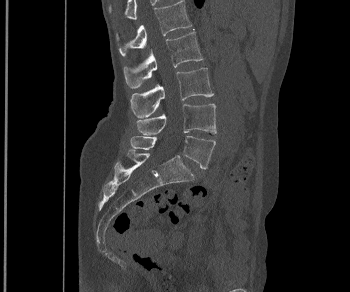

CT spine — sagittal reformat

<vertebrae><v name="L1" x1="116" y1="0" x2="191" y2="56"/><v name="L2" x1="123" y1="28" x2="202" y2="88"/><v name="L3" x1="130" y1="68" x2="213" y2="117"/><v name="L4" x1="136" y1="103" x2="216" y2="134"/><v name="L5" x1="130" y1="136" x2="215" y2="169"/></vertebrae>